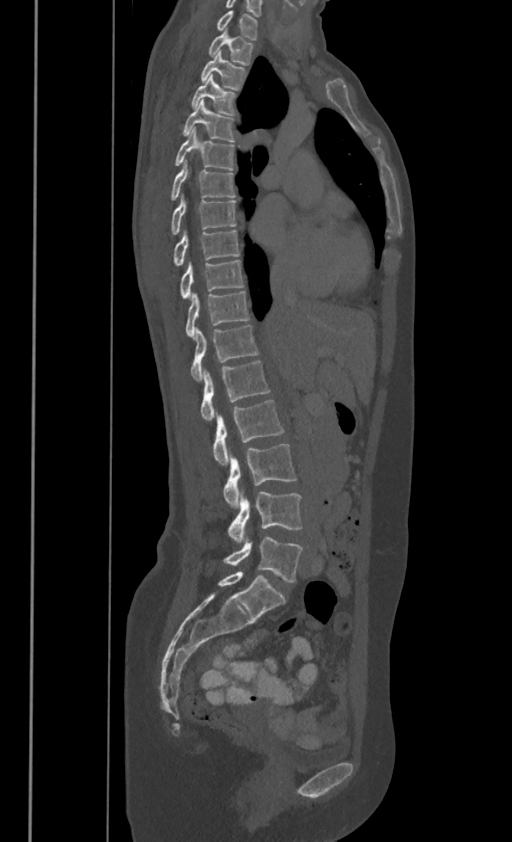

Spine computed tomography. sagittal view

Boxes: x1 y1 x2 y2 (pixel coords, space-separated).
In these labels the thoracic vertebrae end at T11, so L1 follows T11.
C7: 217 10 256 38
T1: 208 29 252 63
T2: 201 50 246 89
T3: 192 74 235 114
T4: 183 99 234 141
T5: 175 127 234 169
T6: 171 159 235 198
T7: 171 193 235 233
T8: 174 229 239 264
T9: 180 258 243 297
T10: 186 290 250 337
T11: 191 325 257 380
L1: 201 359 269 420
L2: 213 399 283 466
L3: 224 444 296 508
L4: 228 491 301 542
L5: 224 537 301 582